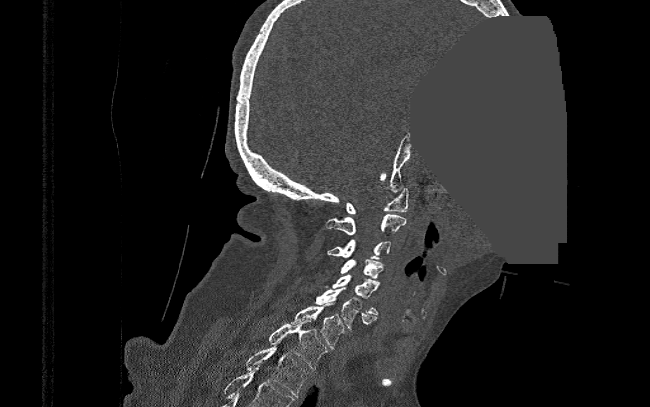
Computed tomography of the spine; sagittal view; 650x407 px; a portion of the image is blanked out (constant pixel value)
Boxes: x1 y1 x2 y2 (pixel coords, space-separated). 9 vertebrae labeled — T2 at 245 340 310 397; T1 at 268 320 327 369; C7 at 288 302 344 348; C6 at 315 287 376 331; C5 at 331 274 380 315; C4 at 340 259 384 279; C3 at 328 239 391 259; C2 at 326 214 407 235; C1 at 345 188 408 214.